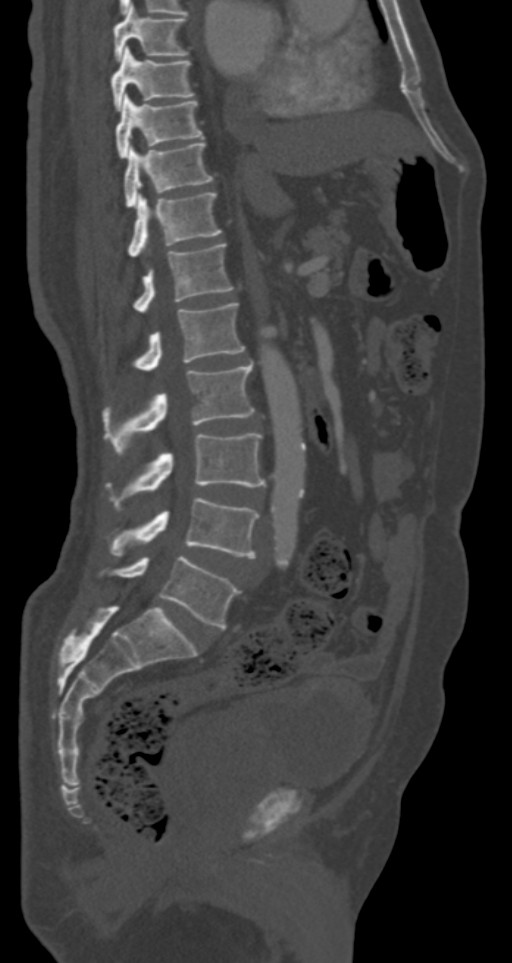 CT · sagittal view · W/L 1800/400 HU
Box values are [left, top, right, bottom] in pixels.
{"vertebrae":{"L5":[98,556,241,628],"L4":[107,497,259,557],"L3":[105,433,266,511],"L2":[101,363,254,455],"L1":[132,303,245,370],"T12":[132,244,234,311],"T11":[128,192,222,255],"T10":[123,142,213,208],"T9":[116,94,204,159],"T8":[110,46,195,111],"T7":[114,5,189,61]}}